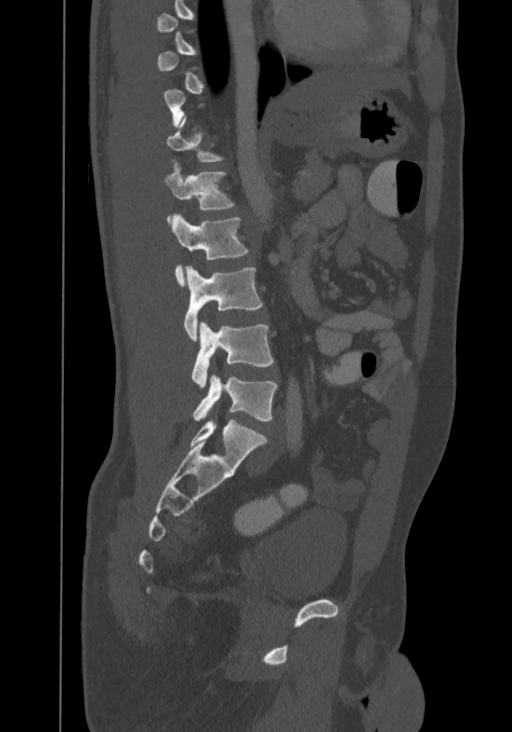 Spine CT · sagittal view · bone window
Boxes: x1 y1 x2 y2 (pixel coords, space-separated). Each vertebra is boxed only on the slices from the first to the last where its cross-section reaches a third of its largest, so a slice outside that range leaves it unboxed. The highest labeled vertebra in this scan is T8; the lowest is L4. Vertebrae labeled: L4 at 192 374 276 421, L3 at 191 321 274 388, L2 at 184 266 262 341, L1 at 170 213 247 287, T12 at 164 164 233 220.